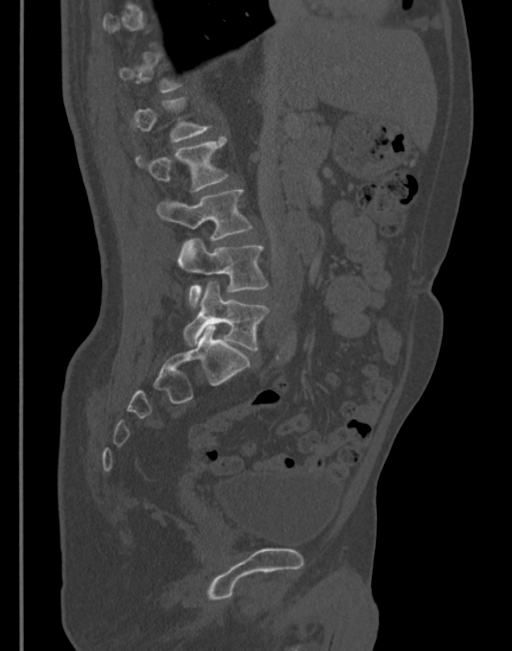 CT · sagittal view
Boxes are (x1, y1, x2, y2) in pixels.
A vertebra gets a box only on the slices from the first to the last where its cross-section is at least a third of its largest; on a slice outside that range it gets none.
L5: (184, 281, 269, 350)
L4: (178, 239, 267, 306)
L3: (157, 189, 253, 240)
L2: (135, 138, 227, 191)
L1: (132, 97, 209, 143)